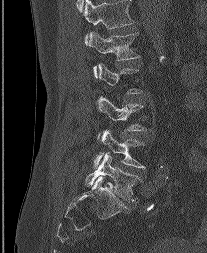 Spine CT. sagittal view
Bounding boxes as [x1, y1, x2, y2] in pixel coordinates. A vertebra is boxed only from the first to the last slice where its cross-section is at least a third of its largest; slices outside that range leave it without a box. The highest labeled vertebra in this scan is L1; the lowest is L5. The labeled vertebrae in this slice are: L5 at [85, 153, 141, 201], L4 at [94, 130, 145, 169], L3 at [97, 97, 146, 138], L1 at [89, 32, 139, 75].